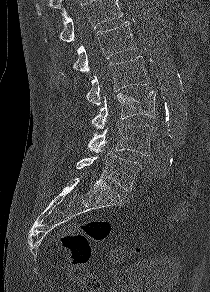 Spine computed tomography; sagittal reformat; 210x292 px. Boxes are (x1, y1, x2, y2) in pixels.
No box is given to a vertebra that the top edge of the scan cuts off.
Vertebra bounding boxes:
- L1: (73, 21, 136, 72)
- L2: (86, 56, 147, 105)
- L3: (91, 91, 156, 129)
- L4: (88, 122, 155, 155)
- L5: (76, 151, 141, 191)